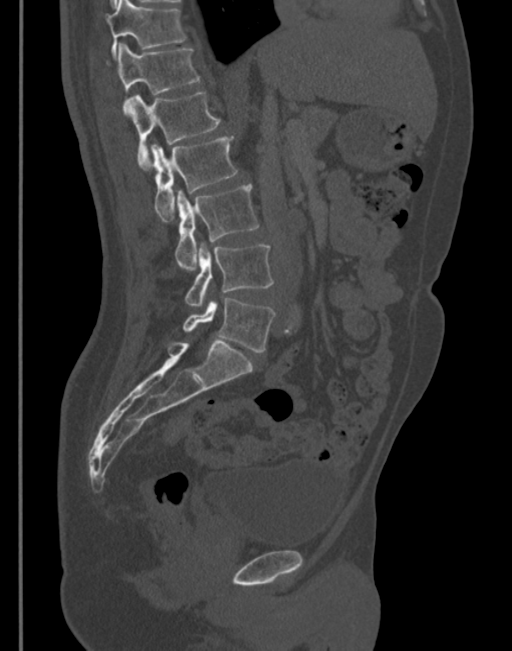

CT, spine — sagittal view — W/L 1800/400 HU — 512x651 px — 345 mm image width
<vertebrae><v name="L5" x1="182" y1="298" x2="275" y2="352"/><v name="L4" x1="185" y1="245" x2="273" y2="305"/><v name="L3" x1="175" y1="185" x2="258" y2="270"/><v name="L2" x1="151" y1="135" x2="238" y2="220"/><v name="L1" x1="124" y1="91" x2="220" y2="169"/><v name="T12" x1="107" y1="43" x2="199" y2="108"/><v name="T11" x1="107" y1="0" x2="186" y2="58"/></vertebrae>